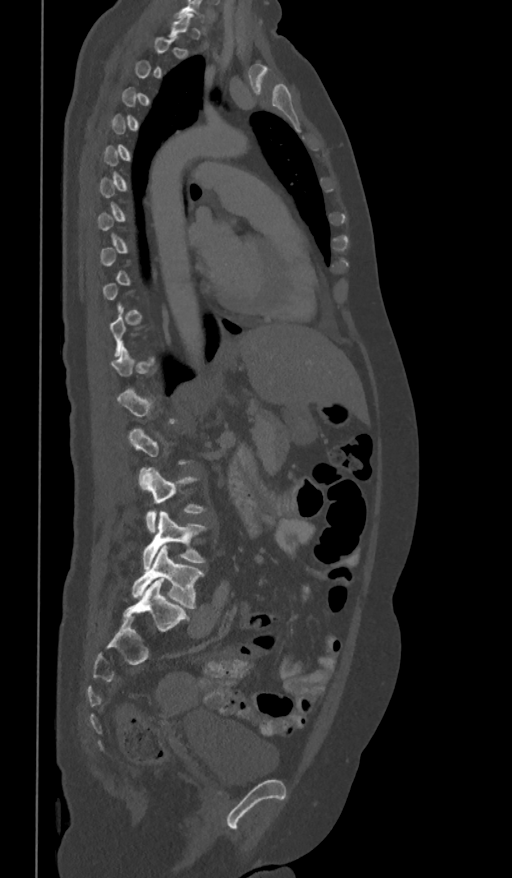

CT spine. sagittal view. bone-window reconstruction

Boxes: x1 y1 x2 y2 (pixel coords, space-separated). Not every vertebra on this slice has a box: a vertebra is boxed only from the first to the last slice where its cross-section is at least a third of its largest, and this slice is outside that range for at least one of them. 3 vertebrae labeled — L3 at 140 467 206 533; L4 at 142 511 207 568; L5 at 132 545 204 608.